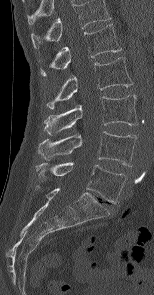

Spine CT — sagittal view — image width 154 mm — 154x295 px
The highest labeled vertebra in this scan is L1; the lowest is L5.
<vertebrae><v name="L1" x1="40" y1="24" x2="121" y2="76"/><v name="L2" x1="46" y1="57" x2="132" y2="109"/><v name="L3" x1="43" y1="95" x2="137" y2="135"/><v name="L4" x1="38" y1="131" x2="136" y2="166"/><v name="L5" x1="36" y1="162" x2="127" y2="203"/></vertebrae>